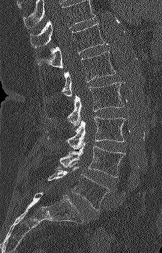 Computed tomography of the spine · sagittal view · bone-window reconstruction. Box edges are left/top/right/bottom in pixels.
No box is given to a vertebra that the top edge of the scan cuts off.
| vertebra | x1 | y1 | x2 | y2 |
|---|---|---|---|---|
| L5 | 48 | 166 | 108 | 210 |
| L4 | 59 | 142 | 125 | 177 |
| L3 | 47 | 116 | 125 | 149 |
| L2 | 67 | 82 | 125 | 125 |
| L1 | 62 | 51 | 115 | 96 |
| T12 | 37 | 23 | 107 | 68 |